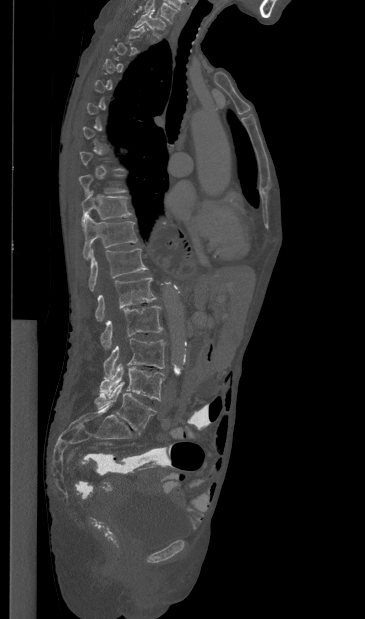 Computed tomography of the spine. sagittal view
Boxes are (x1, y1, x2, y2) in pixels.
Not every vertebra on this slice has a box: a vertebra is boxed only from the first to the last slice where its cross-section is at least a third of its largest, and this slice is outside that range for at least one of them.
In this scan, the topmost labeled vertebra is T1 and the lowest is L5.
Vertebra bounding boxes:
- T1: (134, 10, 165, 36)
- T10: (81, 190, 131, 225)
- T11: (83, 216, 137, 259)
- T12: (89, 248, 147, 291)
- L1: (95, 277, 156, 321)
- L2: (100, 305, 162, 348)
- L3: (103, 338, 165, 377)
- L4: (100, 363, 164, 401)
- L5: (94, 382, 156, 434)